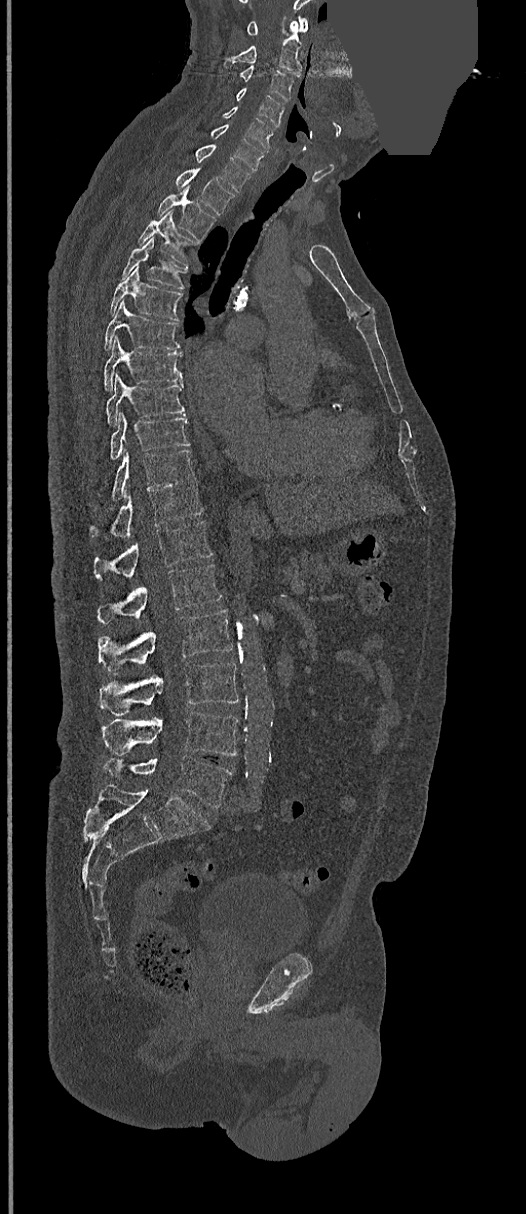

Computed tomography of the spine · sagittal view · W/L 1800/400 HU · some of the image was removed or blocked out with constant pixels
Boxes are given in columns x1, y1, x2, y2, the pixel coordinates of their top-left and bottom-right corners.
| vertebra | x1 | y1 | x2 | y2 |
|---|---|---|---|---|
| L5 | 104 | 756 | 232 | 808 |
| L4 | 102 | 711 | 237 | 756 |
| L3 | 100 | 661 | 239 | 716 |
| L2 | 99 | 610 | 233 | 670 |
| L1 | 97 | 564 | 222 | 623 |
| T12 | 94 | 521 | 212 | 580 |
| T11 | 89 | 481 | 203 | 538 |
| T10 | 111 | 449 | 194 | 499 |
| T9 | 110 | 413 | 190 | 459 |
| T8 | 106 | 374 | 186 | 425 |
| T7 | 103 | 337 | 182 | 390 |
| T6 | 104 | 301 | 180 | 350 |
| T5 | 110 | 266 | 183 | 320 |
| T4 | 121 | 237 | 187 | 289 |
| T3 | 139 | 209 | 197 | 265 |
| T2 | 157 | 184 | 216 | 240 |
| T1 | 176 | 169 | 233 | 213 |
| C7 | 195 | 144 | 252 | 192 |
| C6 | 209 | 124 | 266 | 170 |
| C5 | 223 | 107 | 273 | 150 |
| C4 | 217 | 87 | 284 | 126 |
| C3 | 240 | 66 | 293 | 102 |
| C2 | 224 | 22 | 303 | 76 |
| C1 | 246 | 16 | 307 | 35 |